Computed tomography of the spine · Sagittal slice 241/512 · the image spans 350 mm across
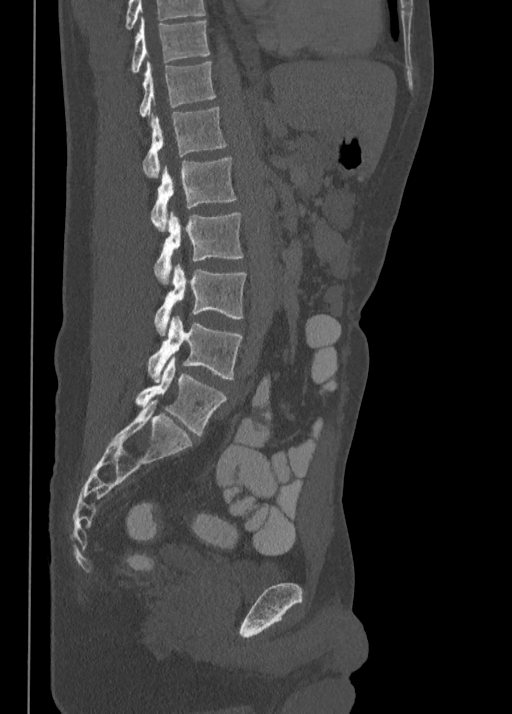

Bounding boxes as [x1, y1, x2, y2] in pixel coordinates.
This scan's labels start at T10 at the top and end at L5 at the bottom.
Vertebra bounding boxes:
- T10: [130, 17, 209, 73]
- T11: [140, 61, 215, 117]
- T12: [143, 107, 227, 178]
- L1: [150, 157, 237, 231]
- L2: [155, 212, 243, 283]
- L3: [155, 266, 246, 335]
- L4: [148, 316, 242, 382]
- L5: [136, 357, 227, 435]